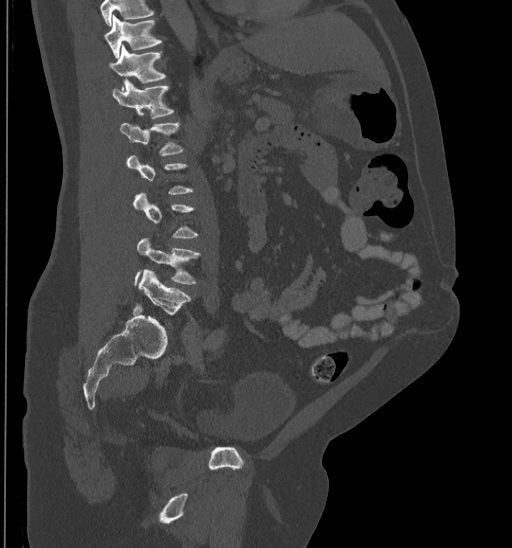
CT spine. sagittal view. 512x548 px. Boxes are (x1, y1, x2, y2) in pixels.
Not every vertebra on this slice has a box: a vertebra is boxed only from the first to the last slice where its cross-section is at least a third of its largest, and this slice is outside that range for at least one of them.
No box is given to a vertebra that the top edge of the scan cuts off.
T10: (105, 15, 161, 58)
T11: (109, 44, 166, 90)
T12: (112, 79, 173, 119)
L1: (120, 123, 184, 155)
L4: (133, 238, 200, 284)
L5: (138, 269, 191, 315)